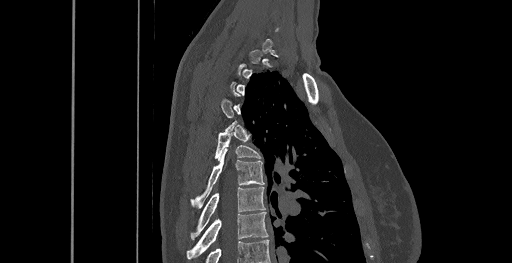

CT, spine — sagittal view — bone window — 512x263 px
Coordinates as <box>x1,y1,x2,y2</box>. Not every vertebra on this slice has a box: a vertebra is boxed only from the first to the last slice where its cross-section is at least a third of its largest, and this slice is outside that range for at least one of them. 4 vertebrae labeled — T5 at <box>214,129,261,160</box>; T6 at <box>191,150,264,208</box>; T7 at <box>191,186,265,240</box>; T8 at <box>187,212,269,259</box>.